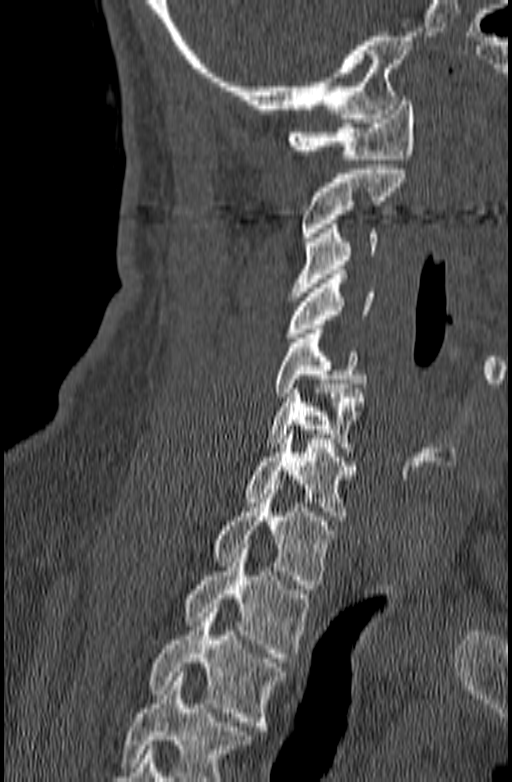

CT spine. sagittal view. bone-window reconstruction
Each box given as x1,y1,x2,y2.
Vertebrae that run past the bottom of the scan are left unlabeled.
| vertebra | x1 | y1 | x2 | y2 |
|---|---|---|---|---|
| T3 | 149 | 603 | 285 | 730 |
| T2 | 184 | 544 | 308 | 662 |
| T1 | 213 | 485 | 337 | 589 |
| C7 | 246 | 430 | 358 | 520 |
| C6 | 264 | 384 | 367 | 452 |
| C5 | 275 | 329 | 366 | 397 |
| C4 | 284 | 270 | 375 | 342 |
| C3 | 290 | 224 | 377 | 296 |
| C2 | 301 | 165 | 406 | 241 |
| C1 | 287 | 96 | 413 | 159 |